Spine CT — sagittal reformat
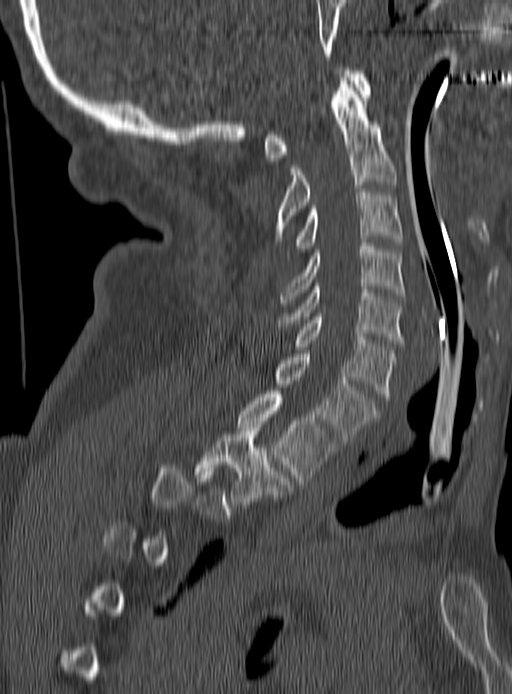

Box values are [left, top, right, bottom] in pixels.
A vertebra is boxed only from the first to the last slice where its cross-section is at least a third of its largest; slices outside that range leave it without a box.
{"vertebrae":{"C1":[264,67,370,161],"C2":[274,77,396,242],"C3":[293,189,401,252],"C4":[281,243,404,306],"C5":[275,283,404,346],"C6":[295,313,396,400],"C7":[276,350,380,444],"T1":[238,391,337,484],"T2":[195,424,288,508]}}